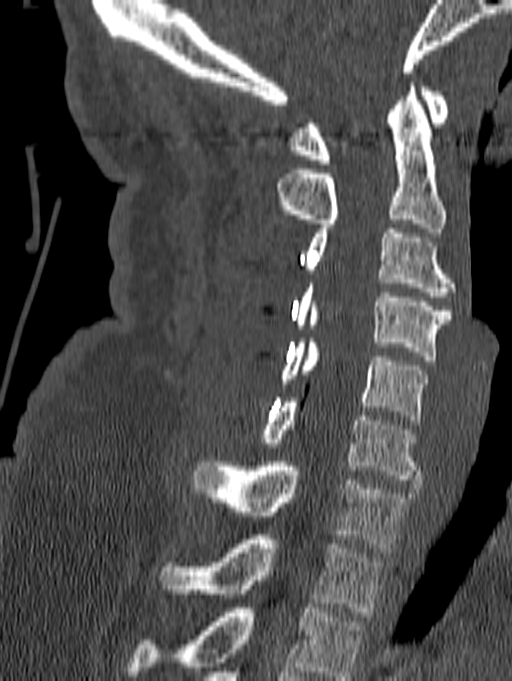

CT, spine · sagittal view · bone-window reconstruction
Box values are [left, top, right, bottom] in pixels.
Labels in this scan begin with C1 at the top and end with T1 at the bottom.
{"vertebrae":{"T1":[158,535,386,616],"C7":[192,462,410,552],"C6":[261,398,421,484],"C5":[279,338,428,424],"C4":[294,283,450,360],"C3":[304,229,456,296],"C2":[276,82,446,232],"C1":[289,87,448,164]}}